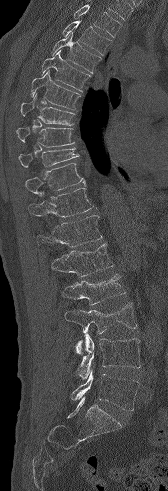

CT — sagittal view — 168x491 px
Coordinates as <box>x1,y1,x2,y2</box>.
Where the top of the scan cuts through a vertebra, that vertebra gets no label or box.
T3: <box>62,20,111,55</box>
T4: <box>51,32,101,73</box>
T5: <box>41,50,90,91</box>
T6: <box>31,70,80,109</box>
T7: <box>20,94,74,125</box>
T8: <box>16,127,74,146</box>
T9: <box>18,147,79,167</box>
T10: <box>25,163,85,195</box>
T11: <box>29,188,94,217</box>
T12: <box>37,215,102,247</box>
L1: <box>51,243,113,276</box>
L2: <box>61,274,125,305</box>
L3: <box>65,302,137,353</box>
L4: <box>76,333,140,379</box>
L5: <box>71,369,139,410</box>